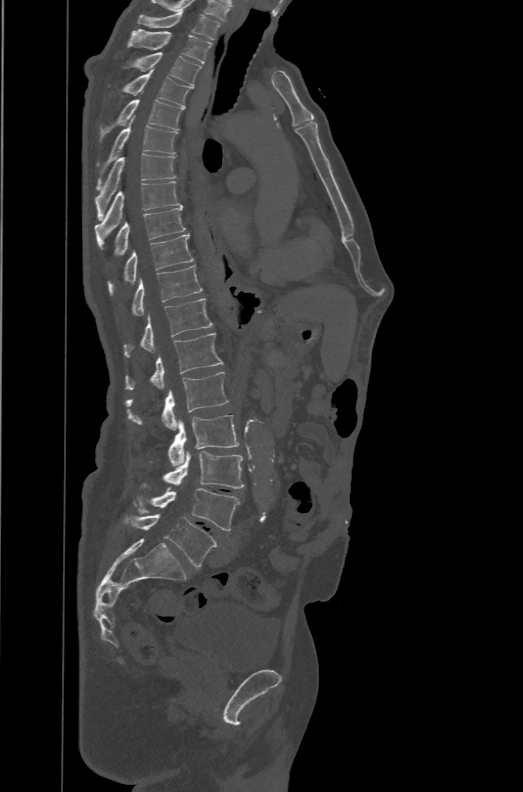
CT, spine · sagittal view · Bone window (WL 400, WW 1800) · 471 mm across the image
Boxes are given in columns x1, y1, x2, y2, the pixel coordinates of their top-left and bottom-right corners.
These labels give the spine a sixth lumbar vertebra, L6, below L5.
| vertebra | x1 | y1 | x2 | y2 |
|---|---|---|---|---|
| T1 | 137 | 11 | 222 | 40 |
| T2 | 128 | 29 | 213 | 63 |
| T3 | 126 | 52 | 201 | 86 |
| T4 | 123 | 69 | 192 | 108 |
| T5 | 98 | 91 | 183 | 142 |
| T6 | 95 | 115 | 178 | 190 |
| T7 | 94 | 153 | 177 | 220 |
| T8 | 94 | 181 | 183 | 249 |
| T9 | 114 | 208 | 186 | 255 |
| T10 | 107 | 234 | 193 | 294 |
| T11 | 132 | 265 | 202 | 314 |
| T12 | 124 | 298 | 213 | 357 |
| L1 | 126 | 333 | 222 | 390 |
| L2 | 124 | 372 | 228 | 430 |
| L3 | 168 | 415 | 239 | 465 |
| L4 | 144 | 451 | 243 | 488 |
| L5 | 139 | 487 | 239 | 530 |
| L6 | 124 | 514 | 217 | 568 |